CT spine · sagittal view · 512x943 px · scan covers 11 annotated vertebrae
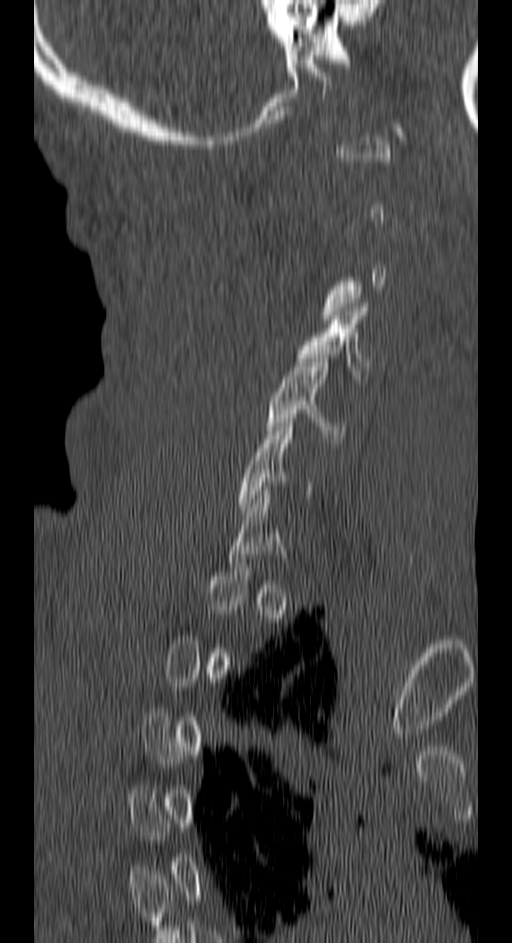
Bounding boxes as [x1, y1, x2, y2] in pixel coordinates.
Not every vertebra on this slice has a box: a vertebra is boxed only from the first to the last slice where its cross-section is at least a third of its largest, and this slice is outside that range for at least one of them.
Vertebra bounding boxes:
- C5: [264, 354, 347, 438]
- C4: [297, 303, 369, 379]